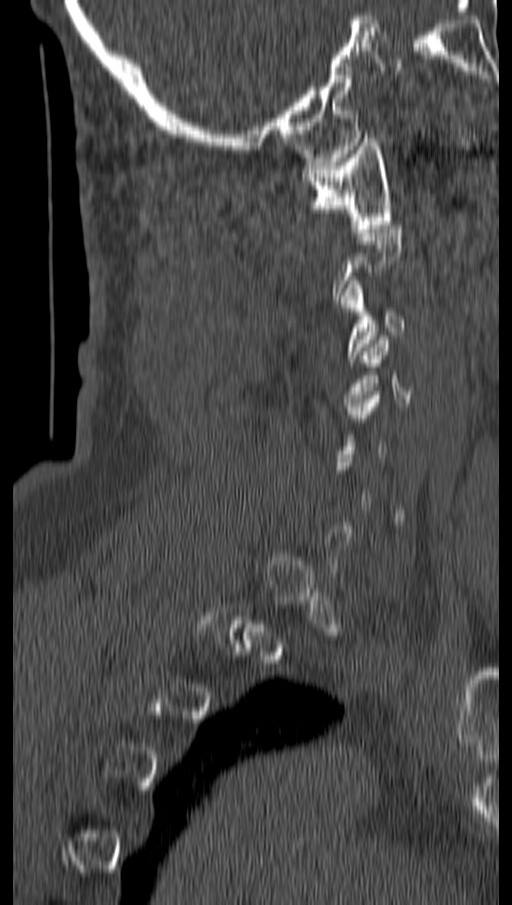

CT · 162 mm image width · sagittal view · 512x905 px

Boxes are (x1, y1, x2, y2) in pixels. Not every vertebra on this slice has a box: a vertebra is boxed only from the first to the last slice where its cross-section is at least a third of its largest, and this slice is outside that range for at least one of them. Vertebrae labeled: C1 at (302, 138, 392, 232), C3 at (339, 280, 405, 362).